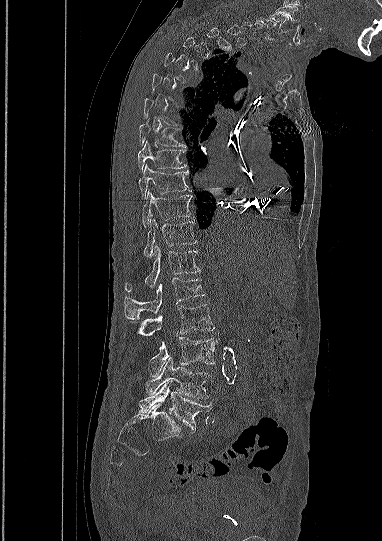

Computed tomography of the spine; sagittal view; Bone window (WL 400, WW 1800)
Not every vertebra on this slice has a box: a vertebra is boxed only from the first to the last slice where its cross-section is at least a third of its largest, and this slice is outside that range for at least one of them.
Labels in this scan begin with C5 at the top and end with L5 at the bottom.
<vertebrae><v name="L5" x1="139" y1="382" x2="211" y2="432"/><v name="L4" x1="145" y1="357" x2="210" y2="399"/><v name="L3" x1="149" y1="337" x2="215" y2="376"/><v name="L2" x1="131" y1="304" x2="214" y2="338"/><v name="L1" x1="124" y1="278" x2="205" y2="319"/><v name="T12" x1="125" y1="246" x2="199" y2="291"/><v name="T11" x1="143" y1="218" x2="196" y2="257"/><v name="T10" x1="142" y1="191" x2="191" y2="227"/><v name="T9" x1="138" y1="165" x2="191" y2="198"/><v name="T8" x1="137" y1="141" x2="185" y2="170"/><v name="T7" x1="139" y1="120" x2="186" y2="147"/><v name="C6" x1="256" y1="17" x2="275" y2="40"/><v name="C5" x1="269" y1="13" x2="288" y2="29"/></vertebrae>